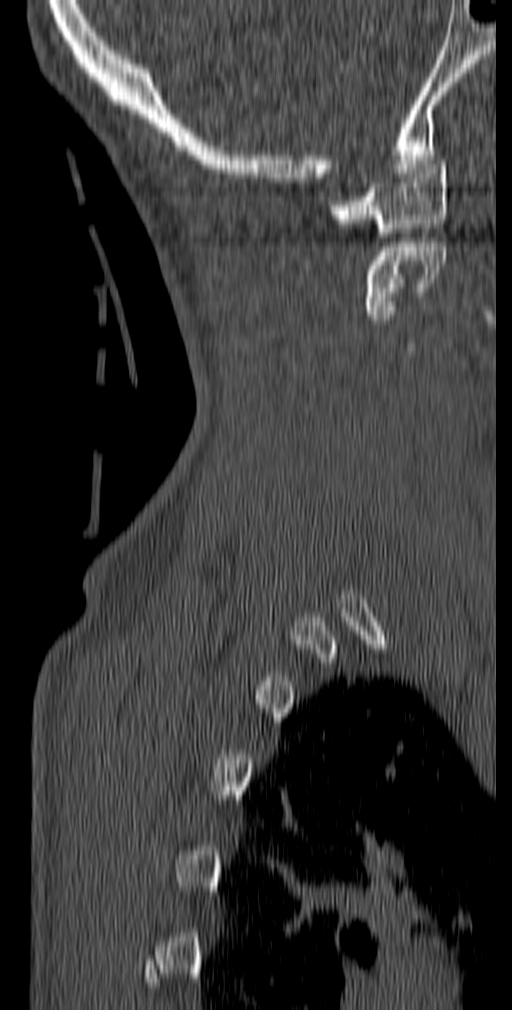 Spine CT; sagittal view; W/L 1800/400 HU; 512x1010 px

Boxes: x1 y1 x2 y2 (pixel coords, space-separated).
C2: 363 242 447 319
C1: 328 160 447 237